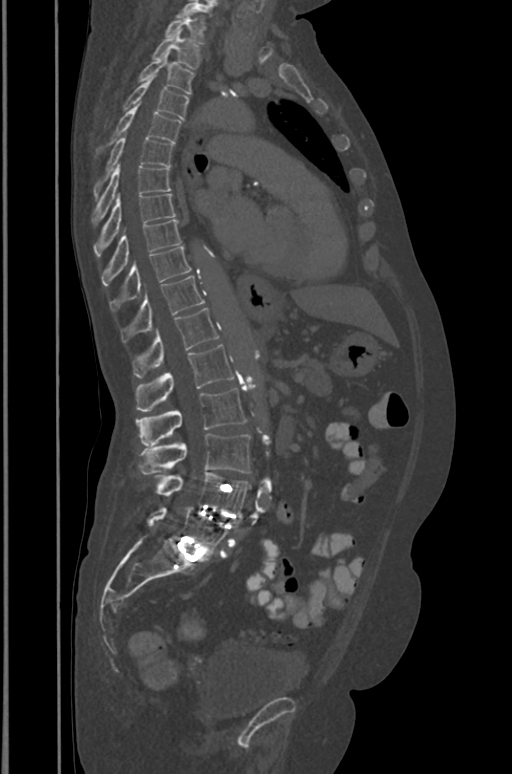 CT spine. sagittal view

<vertebrae><v name="T1" x1="165" y1="12" x2="205" y2="43"/><v name="T2" x1="152" y1="33" x2="199" y2="69"/><v name="T3" x1="137" y1="51" x2="194" y2="94"/><v name="T4" x1="123" y1="77" x2="189" y2="119"/><v name="T5" x1="97" y1="103" x2="181" y2="152"/><v name="T6" x1="94" y1="134" x2="173" y2="197"/><v name="T7" x1="93" y1="164" x2="171" y2="222"/><v name="T8" x1="94" y1="193" x2="176" y2="257"/><v name="T9" x1="102" y1="219" x2="181" y2="285"/><v name="T10" x1="110" y1="245" x2="190" y2="310"/><v name="T11" x1="120" y1="276" x2="205" y2="342"/><v name="T12" x1="132" y1="308" x2="218" y2="377"/><v name="L1" x1="136" y1="344" x2="233" y2="411"/><v name="L2" x1="136" y1="389" x2="245" y2="446"/><v name="L3" x1="139" y1="434" x2="250" y2="474"/><v name="L4" x1="156" y1="472" x2="250" y2="513"/><v name="L5" x1="148" y1="506" x2="227" y2="554"/></vertebrae>